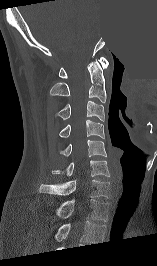
CT; 157 mm image width; sagittal view; Bone window (WL 400, WW 1800); a uniform gray block covers part of the image
Bounding boxes as [x1, y1, x2, y2] in pixel coordinates. In this scan, the topmost labeled vertebra is C1 and the lowest is T1. 8 vertebrae labeled — C1 at [59, 57, 108, 78]; C2 at [50, 59, 106, 102]; C3 at [55, 101, 104, 121]; C4 at [59, 119, 104, 138]; C5 at [60, 139, 106, 156]; C6 at [52, 160, 109, 176]; C7 at [39, 179, 109, 198]; T1 at [56, 199, 108, 221].